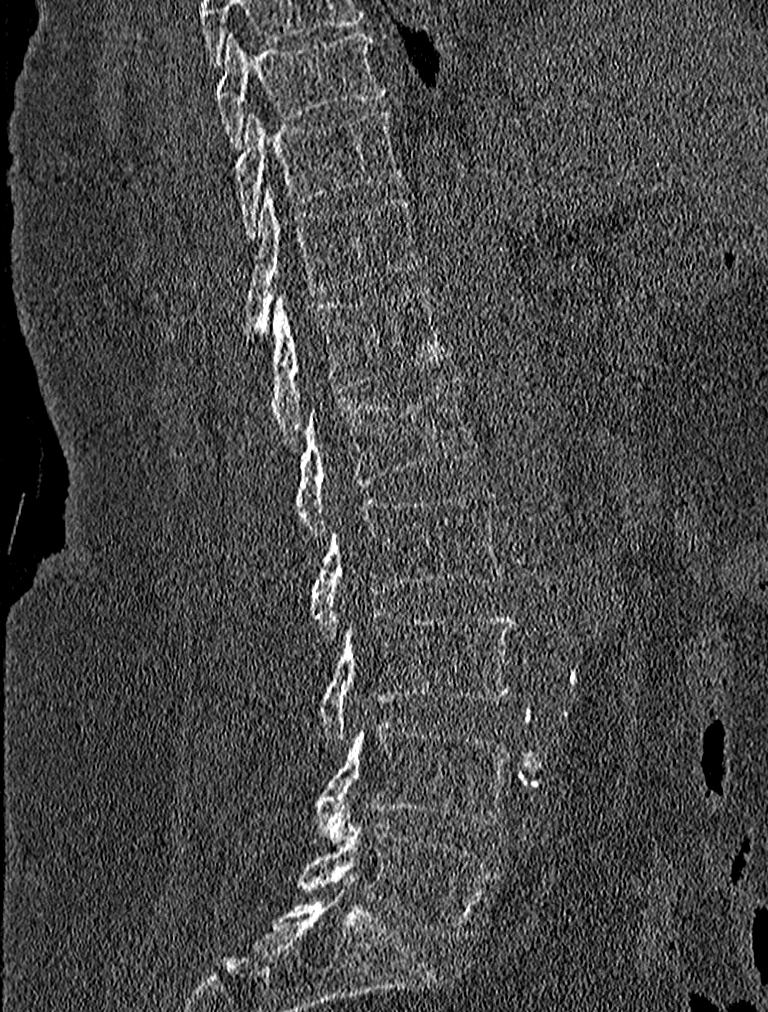 Computed tomography of the spine; sagittal view; W/L 1800/400 HU
Bounding boxes as [x1, y1, x2, y2] in pixel coordinates.
Vertebra bounding boxes:
- T9: [215, 30, 384, 148]
- T10: [236, 108, 400, 237]
- T11: [246, 187, 417, 334]
- T12: [252, 288, 451, 441]
- L1: [297, 376, 478, 539]
- L2: [310, 487, 505, 637]
- L3: [317, 611, 515, 742]
- L4: [313, 719, 513, 839]
- L5: [297, 821, 495, 941]